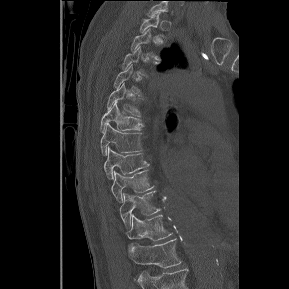

Computed tomography of the spine. sagittal view. bone-window reconstruction
Boxes below are [x1, y1, x2, y2] in pixels.
This scan's labels start at T1 at the top and end at T12 at the bottom.
{"vertebrae":{"T1":[139,12,165,38],"T2":[130,29,161,59],"T3":[121,46,158,75],"T4":[114,64,141,95],"T5":[107,83,142,116],"T6":[101,102,143,132],"T7":[101,123,142,154],"T8":[104,146,148,178],"T9":[111,169,153,202],"T10":[119,190,161,228],"T11":[126,214,172,247],"T12":[128,238,182,268]}}